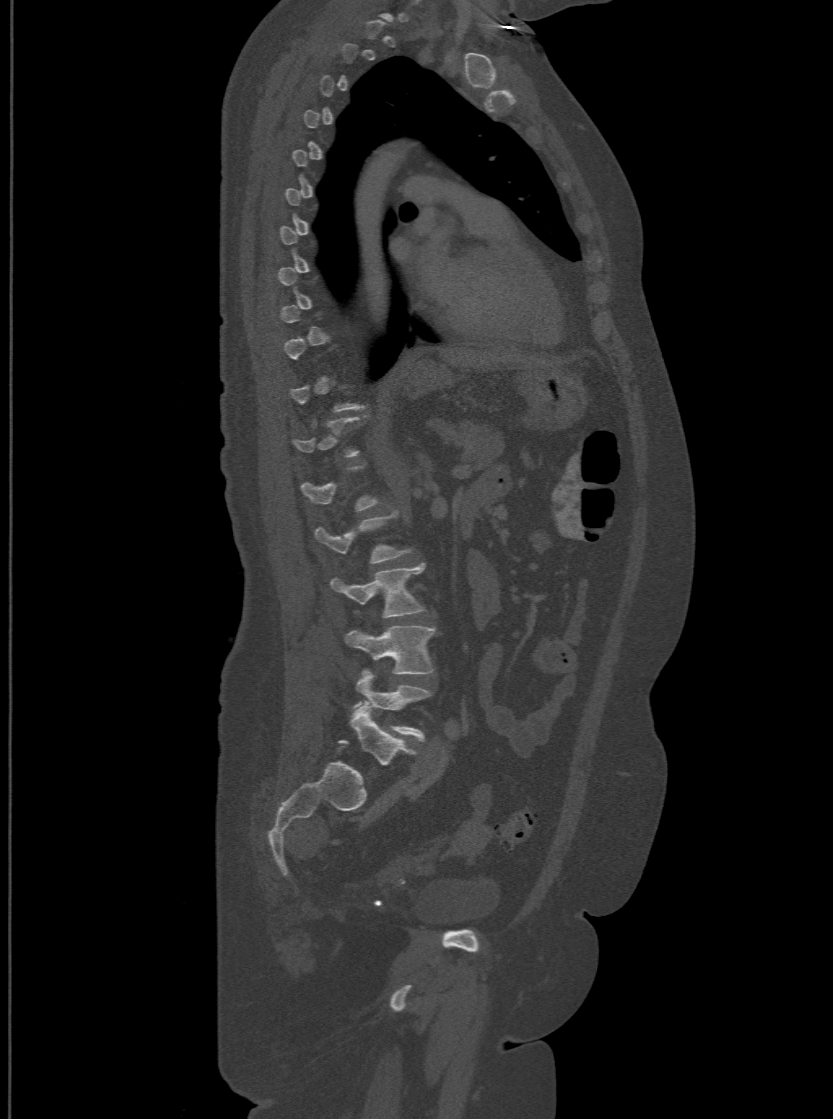 CT, spine; sagittal view; 500 mm image width; bone-window reconstruction
Boxes: x1 y1 x2 y2 (pixel coords, space-separated).
A vertebra is boxed only from the first to the last slice where its cross-section is at least a third of its largest; slices outside that range leave it without a box.
These labels give the spine a sixth lumbar vertebra, L6, below L5.
L6: 350 705 416 765
L5: 353 669 430 738
L4: 345 626 435 673
L3: 330 564 424 617
L2: 316 513 409 563